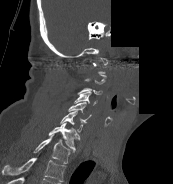 Spine CT — 173 mm across the image — sagittal view — some of the image was removed or blocked out with constant pixels
Coordinates as <box>x1,y1,x2,y2</box>. Not every vertebra on this slice has a box: a vertebra is boxed only from the first to the last slice where its cross-section is at least a third of its largest, and this slice is outside that range for at least one of them. This scan's labels start at C1 at the top and end at T1 at the bottom. The labeled vertebrae in this slice are: C3 at <box>77,87,102,95</box>, C4 at <box>74,92,97,105</box>, C5 at <box>68,102,91,122</box>, C6 at <box>60,111,84,132</box>, C7 at <box>48,122,79,152</box>, T1 at <box>33,134,70,163</box>.